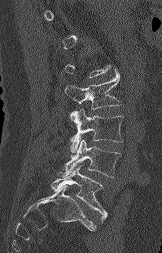
Spine computed tomography; image width 162 mm; sagittal reformat; bone window; 162x253 px

Bounding boxes as [x1, y1, x2, y2] in pixel coordinates.
Not every vertebra on this slice has a box: a vertebra is boxed only from the first to the last slice where its cross-section is at least a third of its largest, and this slice is outside that range for at least one of them.
Vertebra bounding boxes:
- L2: [64, 73, 121, 109]
- L3: [70, 109, 124, 152]
- L4: [58, 139, 120, 177]
- L5: [51, 165, 107, 223]